CT, spine — Sagittal slice 100/152
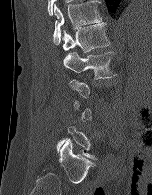

Box edges are left/top/right/bottom in pixels.
A vertebra gets a box only on the slices from the first to the last where its cross-section is at least a third of its largest; on a slice outside that range it gets none.
| vertebra | x1 | y1 | x2 | y2 |
|---|---|---|---|---|
| L5 | 56 | 126 | 96 | 160 |
| L2 | 63 | 51 | 116 | 79 |
| L1 | 62 | 22 | 110 | 52 |
| T12 | 53 | 0 | 102 | 44 |